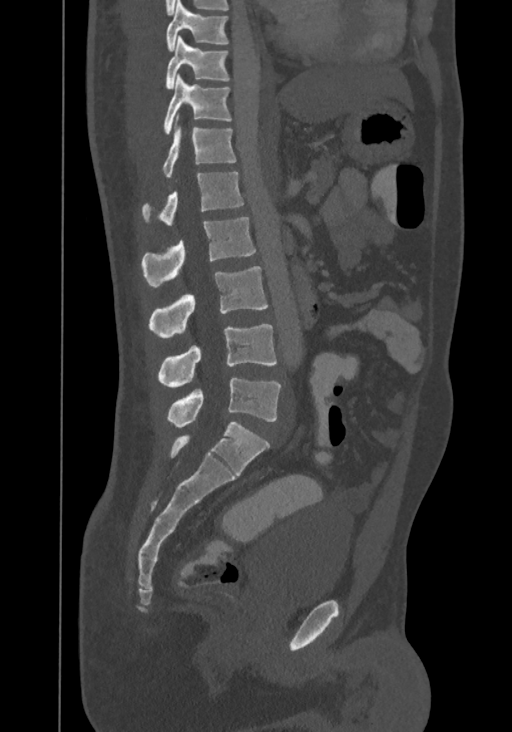 Spine computed tomography · sagittal view

Each vertebra maps to its box as [x1, y1, x2, y2], the pixel coordinates of its top-left and bottom-right corners.
In this scan, the topmost labeled vertebra is T8 and the lowest is L4.
{"vertebrae":{"T8":[166,0,229,50],"T9":[166,36,229,89],"T10":[163,75,232,135],"T11":[163,116,236,177],"T12":[142,171,243,225],"L1":[141,217,255,288],"L2":[149,266,268,338],"L3":[157,324,276,387],"L4":[167,378,281,427]}}